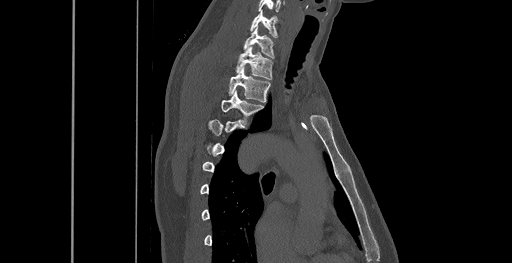
CT, spine; sagittal reformat
Box edges are left/top/right/bottom in pixels.
Not every vertebra on this slice has a box: a vertebra is boxed only from the first to the last slice where its cross-section is at least a third of its largest, and this slice is outside that range for at least one of them.
| vertebra | x1 | y1 | x2 | y2 |
|---|---|---|---|---|
| C6 | 250 | 11 | 277 | 38 |
| C7 | 243 | 26 | 274 | 58 |
| T1 | 236 | 46 | 272 | 79 |
| T2 | 229 | 67 | 270 | 102 |
| T3 | 220 | 91 | 263 | 122 |